CT · sagittal plane, index 316 · bone window · 512x929 px
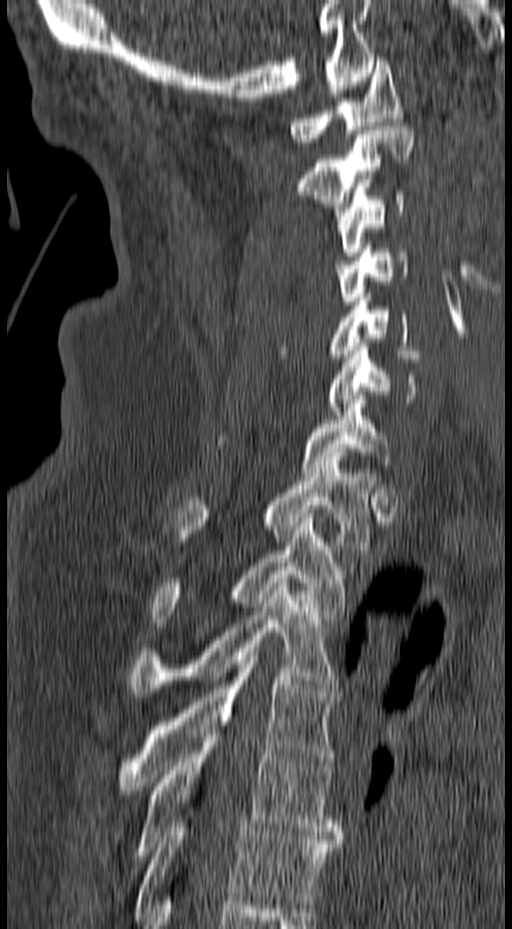 Each box given as x1,y1,x2,y2. Vertebrae labeled: C1 at x1=288, y1=57, x2=402, y2=146, C2 at x1=295, y1=126, x2=414, y2=227, C3 at x1=334, y1=188, x2=404, y2=256, C4 at x1=335, y1=245, x2=408, y2=305, C5 at x1=279, y1=294, x2=426, y2=358, C6 at x1=327, y1=338, x2=418, y2=415, C7 at x1=216, y1=391, x2=393, y2=476, T1 at x1=174, y1=457, x2=376, y2=549, T2 at x1=151, y1=514, x2=346, y2=627, T3 at x1=130, y1=579, x2=339, y2=696, T4 at x1=116, y1=648, x2=339, y2=794, T5 at x1=127, y1=726, x2=343, y2=859, T6 at x1=134, y1=819, x2=343, y2=916.